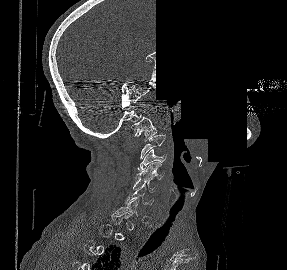 Spine computed tomography · sagittal view · bone-window reconstruction · 287x270 px · an area of the scan was removed and filled with constant pixels

Boxes: x1 y1 x2 y2 (pixel coords, space-separated). A vertebra gets a box only on the slices from the first to the last where its cross-section is at least a third of its largest; on a slice outside that range it gets none. 6 vertebrae labeled — C1 at 131 117 157 141; C2 at 140 135 165 159; C3 at 137 149 166 170; C4 at 135 162 165 179; C5 at 133 179 157 192; C6 at 125 188 153 216.